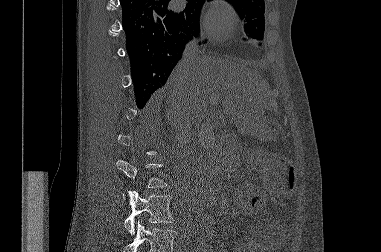

CT — sagittal reformat — 381x252 px
Boxes: x1 y1 x2 y2 (pixel coords, space-separated). Not every vertebra on this slice has a box: a vertebra is boxed only from the first to the last slice where its cross-section is at least a third of its largest, and this slice is outside that range for at least one of them. Where the bottom of the scan cuts through a vertebra, that vertebra gets no label or box. Vertebrae labeled: L3 at 124 190 174 234, L2 at 116 160 167 187.